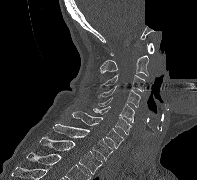 Spine CT. sagittal view. the image spans 197 mm across. some of the image was removed or blocked out with constant pixels
<vertebrae><v name="C1" x1="110" y1="43" x2="154" y2="55"/><v name="C2" x1="100" y1="55" x2="148" y2="76"/><v name="C3" x1="100" y1="74" x2="145" y2="92"/><v name="C4" x1="98" y1="86" x2="140" y2="107"/><v name="C5" x1="98" y1="97" x2="134" y2="122"/><v name="C6" x1="91" y1="106" x2="131" y2="134"/><v name="C7" x1="71" y1="111" x2="123" y2="148"/><v name="T1" x1="53" y1="124" x2="113" y2="160"/><v name="T2" x1="39" y1="136" x2="102" y2="174"/></vertebrae>